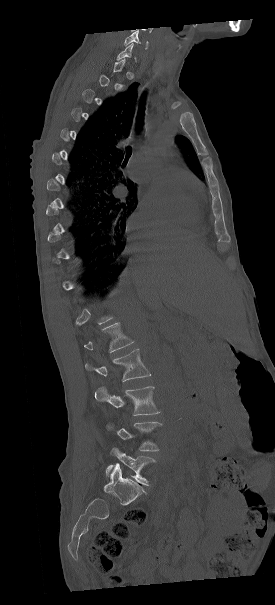

CT; sagittal view; W/L 1800/400 HU
In the table, x1 and y1 are a box's top-left corner and x2 and y2 its bottom-right corner, in pixels.
A vertebra is boxed only from the first to the last slice where its cross-section is at least a third of its largest; slices outside that range leave it without a box.
| vertebra | x1 | y1 | x2 | y2 |
|---|---|---|---|---|
| L1 | 83 | 322 | 134 | 352 |
| L2 | 85 | 349 | 151 | 381 |
| L3 | 95 | 386 | 160 | 415 |
| L4 | 106 | 422 | 161 | 450 |
| L5 | 106 | 444 | 155 | 486 |